Computed tomography of the spine. Sagittal slice 263/512. bone window
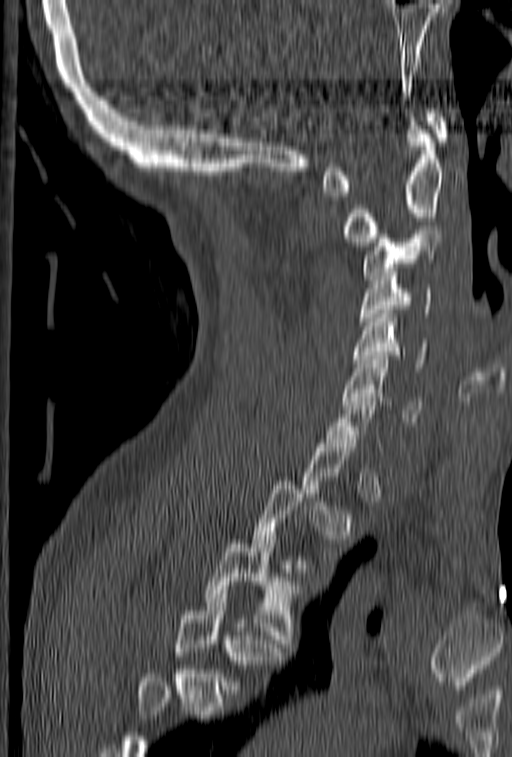
Coordinates as <box>x1,y1,x2,y2</box>.
A vertebra is boxed only from the first to the last slice where its cross-section is at least a third of its largest; slices outside that range leave it without a box.
Vertebrae that run past the bottom of the scan are left unlabeled.
T4: <box>175,590,284,693</box>
T3: <box>204,540,304,647</box>
C7: <box>323,389,382,451</box>
C6: <box>343,356,421,421</box>
C5: <box>353,310,425,371</box>
C4: <box>359,264,432,325</box>
C3: <box>362,230,442,279</box>
C2: <box>342,117,445,246</box>
C1: <box>321,109,449,196</box>